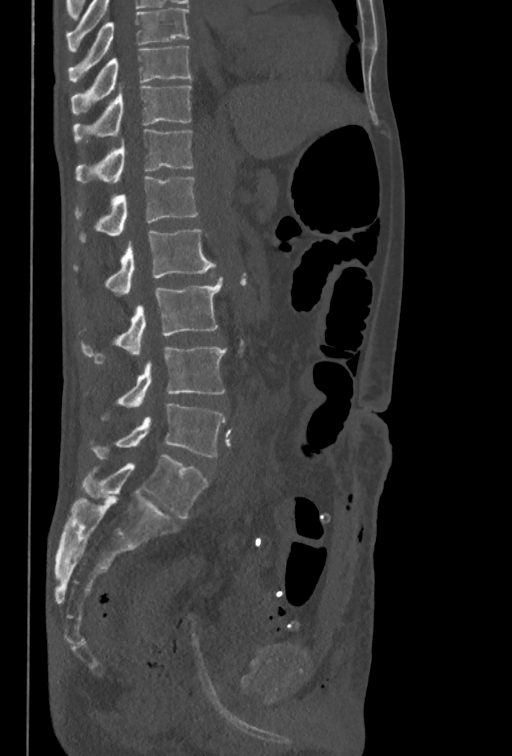

CT — sagittal view — W/L 1800/400 HU
The highest labeled vertebra in this scan is T10; the lowest is L5.
<vertebrae><v name="T10" x1="70" y1="46" x2="190" y2="114"/><v name="T11" x1="73" y1="86" x2="192" y2="144"/><v name="T12" x1="76" y1="129" x2="193" y2="183"/><v name="L1" x1="74" y1="176" x2="198" y2="243"/><v name="L2" x1="73" y1="229" x2="216" y2="295"/><v name="L3" x1="80" y1="276" x2="222" y2="362"/><v name="L4" x1="101" y1="346" x2="226" y2="420"/><v name="L5" x1="90" y1="403" x2="226" y2="458"/></vertebrae>